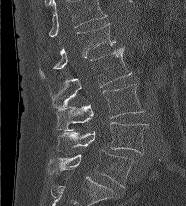 Computed tomography of the spine · sagittal view. Coordinates as <box>x1,y1,x2,y2</box>.
The highest labeled vertebra in this scan is L1; the lowest is L5.
L5: <box>49,150,133,187</box>
L4: <box>57,122,149,154</box>
L3: <box>56,84,143,131</box>
L2: <box>51,48,131,109</box>
L1: <box>38,23,115,79</box>